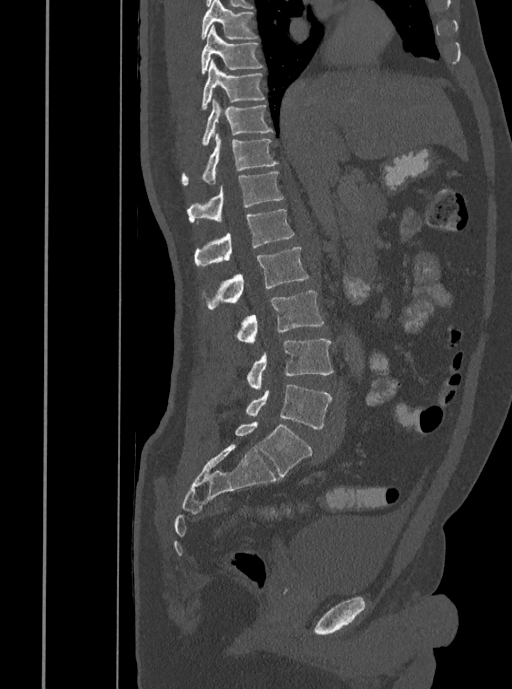

CT, spine; sagittal reformat; bone window; 408 mm wide; 512x689 px
Boxes are (x1, y1, x2, y2) in pixels.
L5: (246, 384, 331, 428)
L4: (247, 339, 333, 390)
L3: (237, 290, 324, 343)
L2: (207, 247, 309, 310)
L1: (194, 210, 294, 266)
T12: (186, 171, 284, 221)
T11: (181, 134, 279, 186)
T10: (201, 99, 274, 146)
T9: (201, 59, 265, 111)
T8: (201, 25, 262, 75)
T7: (201, 0, 257, 40)